CT; sagittal reformat
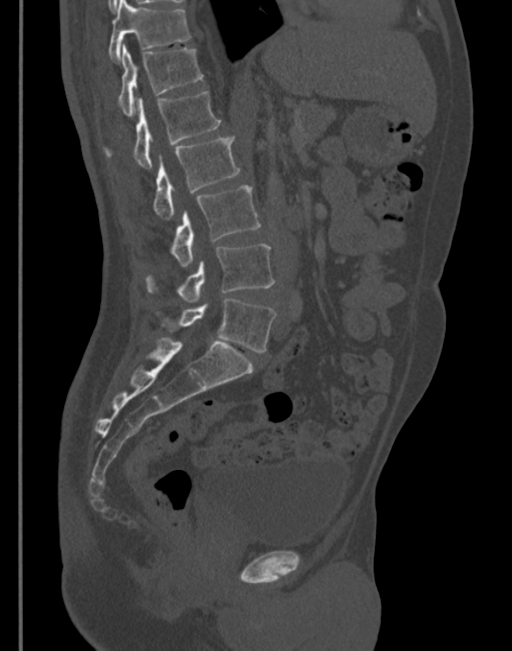
Box edges are left/top/right/bottom in pixels.
T11: left=108, top=0, right=190, bottom=61
T12: left=117, top=44, right=204, bottom=117
L1: left=104, top=91, right=221, bottom=169
L2: left=153, top=135, right=239, bottom=220
L3: left=170, top=185, right=260, bottom=267
L4: left=145, top=245, right=275, bottom=303
L5: left=157, top=299, right=276, bottom=352